Computed tomography of the spine — Sagittal slice 279/512 — W/L 1800/400 HU — 8 vertebrae labeled in this scan
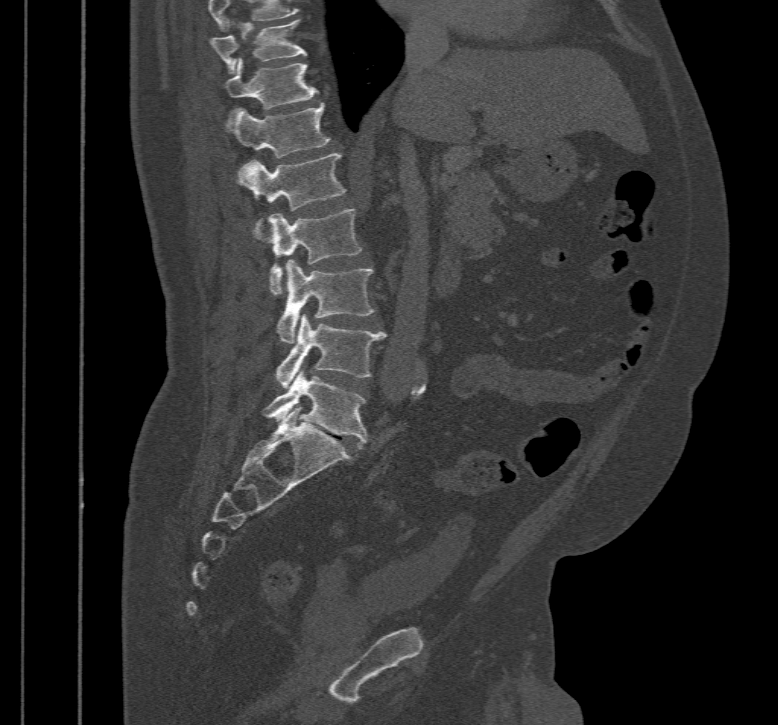
Boxes: x1:y1:x2:y2 in pixels. This scan's labels start at T10 at the top and end at L5 at the bottom. The labeled vertebrae in this slice are: L5 at 260:372:368:448, L4 at 275:314:388:389, L3 at 277:260:374:343, L2 at 255:209:362:294, L1 at 239:153:346:243, T12 at 227:102:330:158, T11 at 225:57:317:121, T10 at 210:19:306:73.